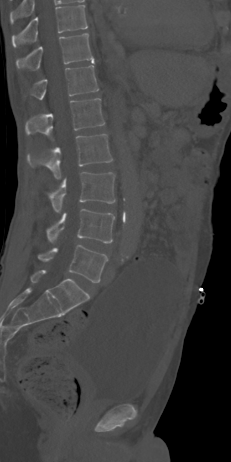
CT — image 231 mm wide — sagittal reformat — W/L 1800/400 HU — 231x462 px

Coordinates as <box>x1,y1,x2,y2</box>. 8 vertebrae labeled — T10 at <box>12,5,87,46</box>; T11 at <box>16,33,94,70</box>; T12 at <box>32,65,98,99</box>; L1 at <box>25,98,104,137</box>; L2 at <box>27,134,112,178</box>; L3 at <box>48,172,115,212</box>; L4 at <box>46,209,115,243</box>; L5 at <box>37,245,107,282</box>.